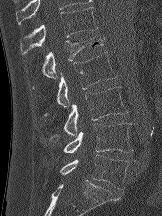

Spine CT — the image is 162 mm wide — sagittal view — Bone window (WL 400, WW 1800)
<vertebrae><v name="T12" x1="20" y1="7" x2="98" y2="54"/><v name="L1" x1="41" y1="34" x2="104" y2="79"/><v name="L2" x1="44" y1="52" x2="116" y2="117"/><v name="L3" x1="50" y1="86" x2="128" y2="141"/><v name="L4" x1="63" y1="123" x2="132" y2="153"/><v name="L5" x1="59" y1="154" x2="128" y2="189"/></vertebrae>